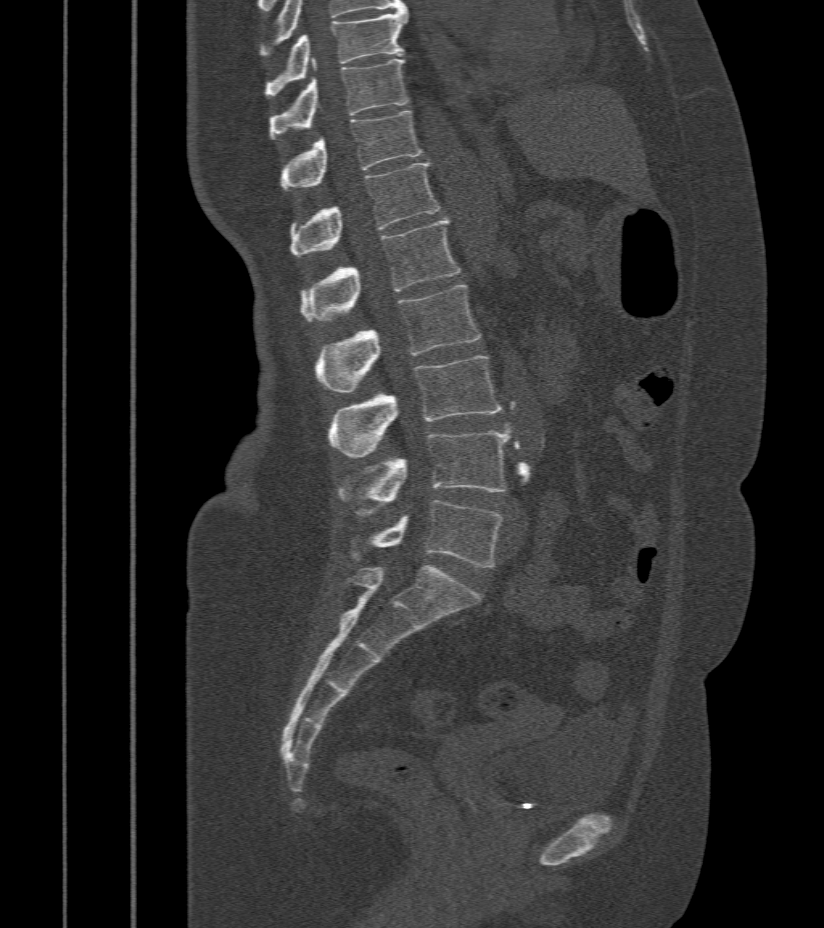

Computed tomography of the spine; sagittal view; 412 mm wide
Bounding boxes as [x1, y1, x2, y2] in pixel coordinates. 9 vertebrae labeled — T9 at [266, 9, 406, 96]; T10 at [270, 59, 409, 138]; T11 at [282, 111, 422, 190]; T12 at [290, 163, 442, 256]; L1 at [299, 219, 461, 320]; L2 at [315, 285, 480, 394]; L3 at [328, 357, 503, 458]; L4 at [338, 431, 509, 516]; L5 at [352, 501, 503, 568].